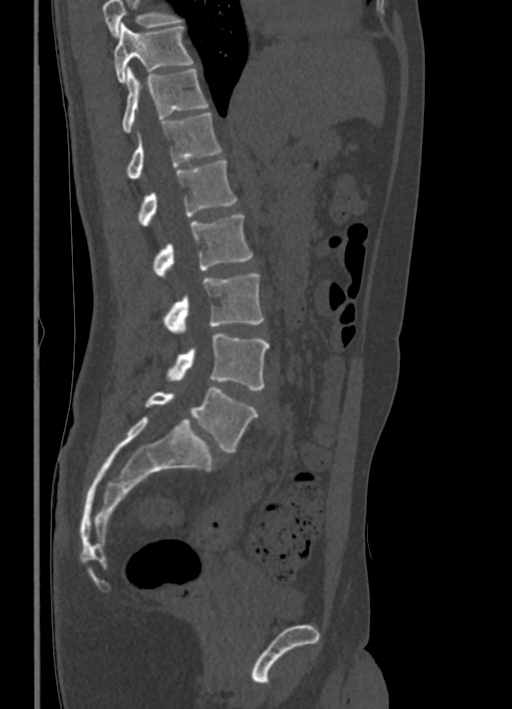
CT; sagittal view; bone-window reconstruction. Boxes are (x1, y1, x2, y2) in pixels. Vertebrae that run past the top of the scan are left unlabeled. 8 vertebrae labeled — T10 at (114, 23, 192, 83); T11 at (122, 67, 208, 133); T12 at (126, 112, 221, 178); L1 at (138, 160, 237, 226); L2 at (154, 215, 252, 278); L3 at (163, 273, 264, 334); L4 at (166, 334, 269, 390); L5 at (145, 387, 258, 451).